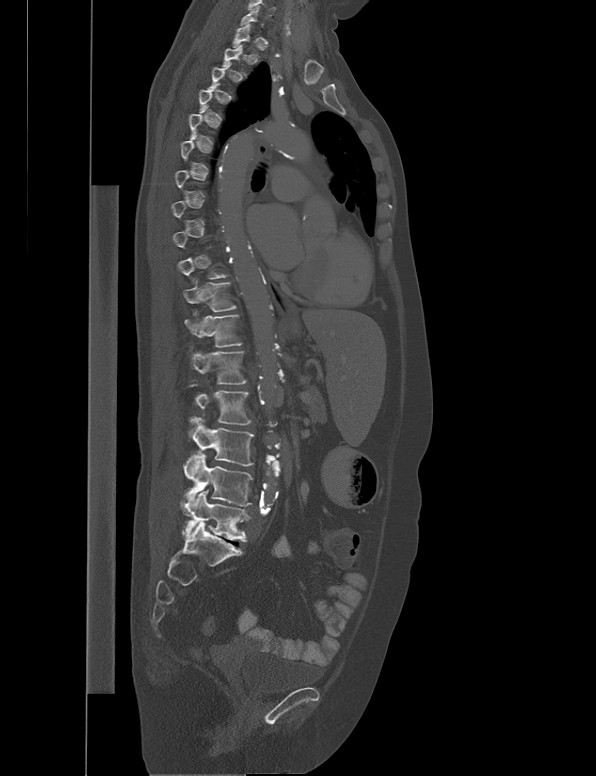 CT spine — sagittal view

Not every vertebra on this slice has a box: a vertebra is boxed only from the first to the last slice where its cross-section is at least a third of its largest, and this slice is outside that range for at least one of them.
<vertebrae><v name="T11" x1="183" y1="279" x2="236" y2="313"/><v name="T12" x1="184" y1="312" x2="242" y2="347"/><v name="L1" x1="191" y1="351" x2="246" y2="383"/><v name="L2" x1="189" y1="383" x2="250" y2="424"/><v name="L3" x1="183" y1="416" x2="254" y2="468"/><v name="L4" x1="180" y1="453" x2="253" y2="516"/><v name="L5" x1="182" y1="489" x2="251" y2="542"/></vertebrae>